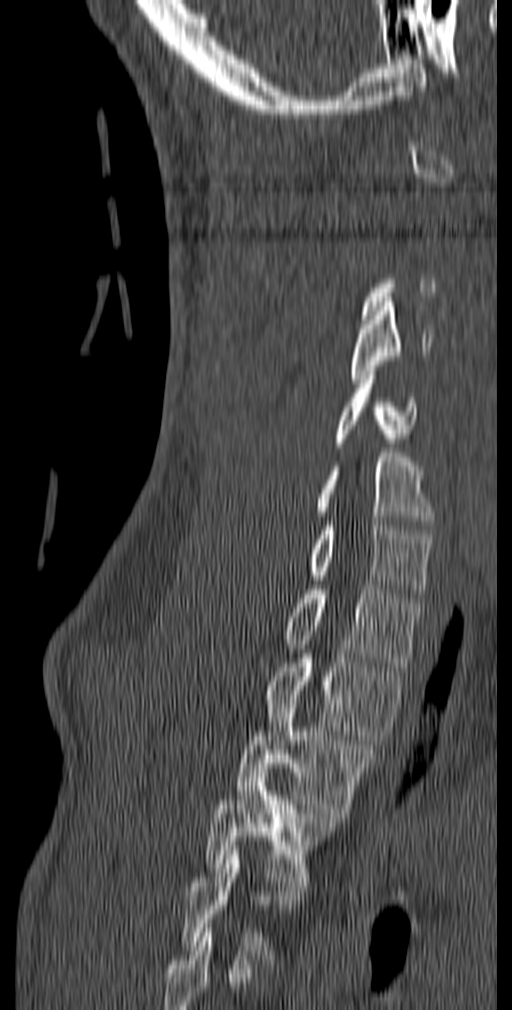

CT, spine; sagittal view; bone-window reconstruction; 512x1010 px
Box values are [left, top, right, bottom] in pixels.
A vertebra is boxed only from the first to the last slice where its cross-section is at least a third of its largest; slices outside that range leave it without a box.
Labels in this scan begin with C1 at the top and end with T5 at the bottom.
{"vertebrae":{"T5":[180,846,306,964],"T4":[206,773,336,886],"T3":[235,695,377,817],"T2":[265,654,405,744],"T1":[283,585,423,671],"C7":[309,521,432,598],"C6":[316,453,436,525],"C5":[334,370,417,447],"C4":[350,302,433,383]}}